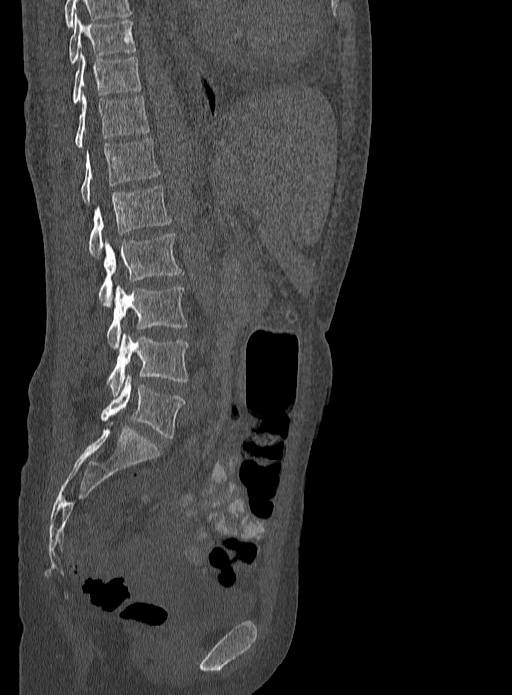
Computed tomography of the spine · sagittal reformat
Boxes are given in columns x1, y1, x2, y2, the pixel coordinates of their top-left and bottom-right corners.
| vertebra | x1 | y1 | x2 | y2 |
|---|---|---|---|---|
| T9 | 69 | 14 | 136 | 64 |
| T10 | 72 | 52 | 140 | 104 |
| T11 | 75 | 94 | 149 | 148 |
| T12 | 80 | 138 | 159 | 203 |
| L1 | 89 | 185 | 171 | 256 |
| L2 | 98 | 234 | 183 | 305 |
| L3 | 107 | 284 | 186 | 348 |
| L4 | 107 | 332 | 188 | 396 |
| L5 | 101 | 375 | 185 | 439 |